Computed tomography of the spine · sagittal view · bone window
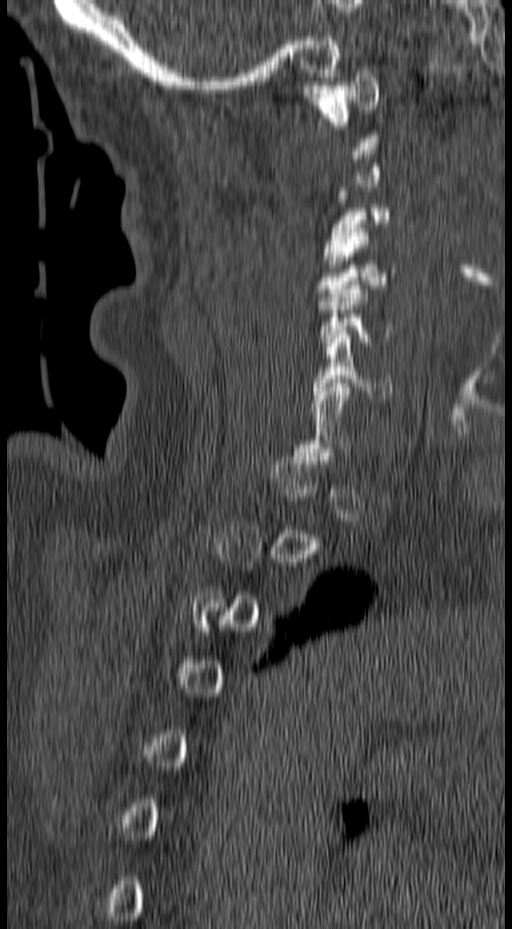

Not every vertebra on this slice has a box: a vertebra is boxed only from the first to the last slice where its cross-section is at least a third of its largest, and this slice is outside that range for at least one of them.
<vertebrae><v name="C6" x1="311" y1="334" x2="392" y2="398"/><v name="C5" x1="316" y1="285" x2="392" y2="345"/><v name="C4" x1="316" y1="228" x2="397" y2="301"/><v name="C3" x1="324" y1="188" x2="391" y2="264"/><v name="C1" x1="301" y1="73" x2="379" y2="142"/></vertebrae>